Spine computed tomography · the image is 350 mm wide · sagittal reformat · bone-window reconstruction · 512x793 px
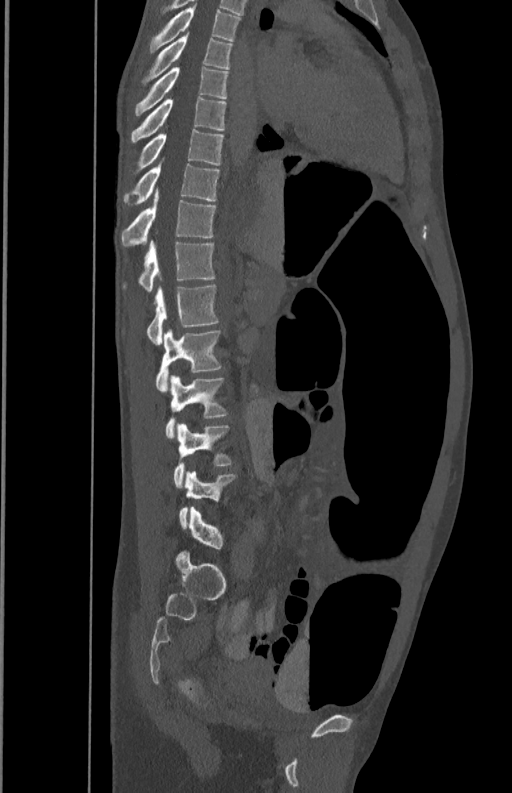

Boxes are (x1, y1, x2, y2) in pixels.
T5: (149, 7, 242, 53)
T6: (142, 33, 233, 83)
T7: (134, 67, 228, 116)
T8: (130, 96, 227, 143)
T9: (131, 130, 224, 173)
T10: (124, 163, 220, 204)
T11: (121, 191, 215, 247)
T12: (123, 240, 215, 293)
L1: (146, 284, 218, 344)
L2: (155, 330, 223, 393)
L3: (165, 375, 228, 439)
L4: (174, 423, 234, 487)
L5: (178, 471, 237, 527)